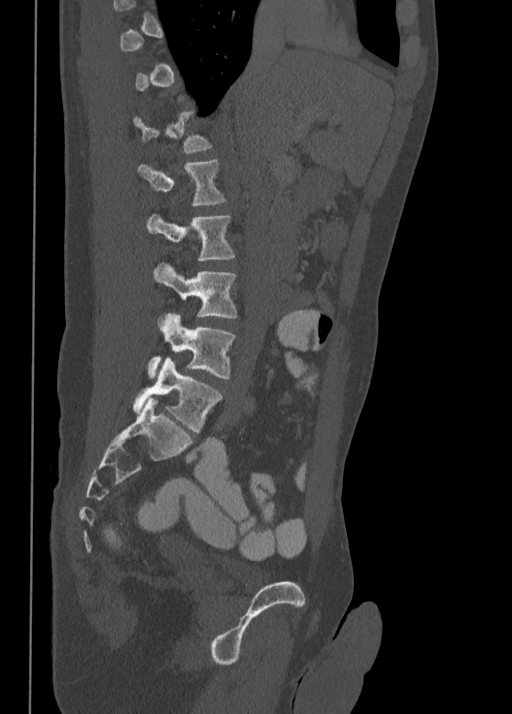 CT — sagittal view
A vertebra gets a box only on the slices from the first to the last where its cross-section is at least a third of its largest; on a slice outside that range it gets none.
<vertebrae><v name="L1" x1="137" y1="159" x2="224" y2="204"/><v name="L2" x1="146" y1="215" x2="234" y2="261"/><v name="L3" x1="152" y1="263" x2="236" y2="326"/><v name="L4" x1="148" y1="313" x2="234" y2="378"/><v name="L5" x1="133" y1="357" x2="221" y2="432"/></vertebrae>